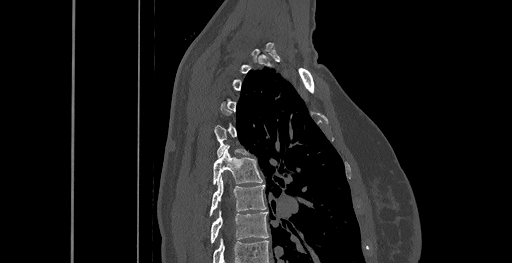

CT, spine — sagittal view — W/L 1800/400 HU
Coordinates as <box>x1,y1,x2,y2</box>.
A vertebra is boxed only from the first to the last slice where its cross-section is at least a third of its largest; slices outside that range leave it without a box.
The highest labeled vertebra in this scan is C6; the lowest is T8.
T6: <box>213,147,262,184</box>
T7: <box>210,176,265,214</box>
T8: <box>211,210,268,242</box>